CT, spine; sagittal view; W/L 1800/400 HU; scan covers 18 annotated vertebrae
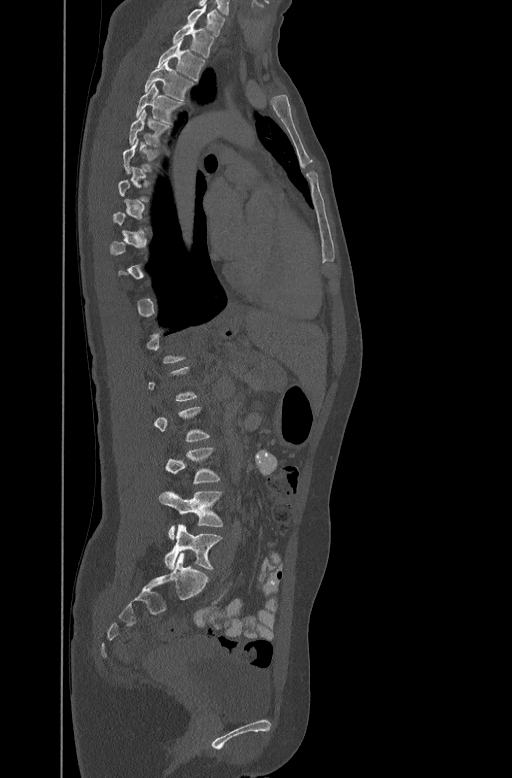

Boxes are given in columns x1, y1, x2, y2, the pixel coordinates of their top-left and bottom-right corners.
A vertebra gets a box only on the slices from the first to the last where its cross-section is at least a third of its largest; on a slice outside that range it gets none.
| vertebra | x1 | y1 | x2 | y2 |
|---|---|---|---|---|
| C7 | 187 | 5 | 226 | 35 |
| T1 | 173 | 23 | 214 | 58 |
| T2 | 157 | 41 | 205 | 79 |
| T3 | 144 | 62 | 194 | 99 |
| T4 | 135 | 82 | 182 | 124 |
| T5 | 128 | 109 | 171 | 145 |
| T6 | 122 | 137 | 159 | 173 |
| L3 | 165 | 447 | 220 | 482 |
| L4 | 159 | 490 | 222 | 539 |
| L5 | 164 | 524 | 222 | 569 |